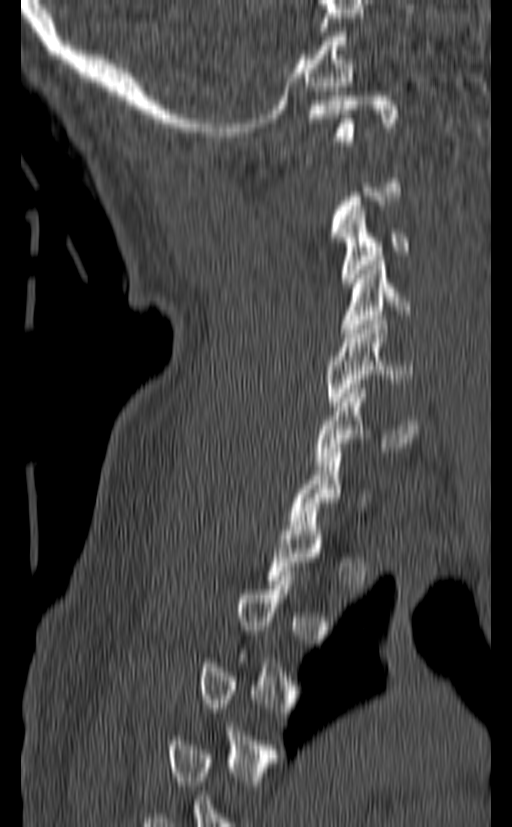

Spine computed tomography · 140 mm wide · sagittal view · W/L 1800/400 HU · 512x827 px
A vertebra gets a box only on the slices from the first to the last where its cross-section is at least a third of its largest; on a slice outside that range it gets none.
<vertebrae><v name="C1" x1="307" y1="96" x2="398" y2="145"/><v name="C3" x1="338" y1="206" x2="408" y2="287"/><v name="C4" x1="341" y1="261" x2="410" y2="333"/><v name="C5" x1="327" y1="320" x2="414" y2="406"/><v name="C6" x1="315" y1="384" x2="417" y2="465"/><v name="C7" x1="288" y1="448" x2="369" y2="529"/></vertebrae>